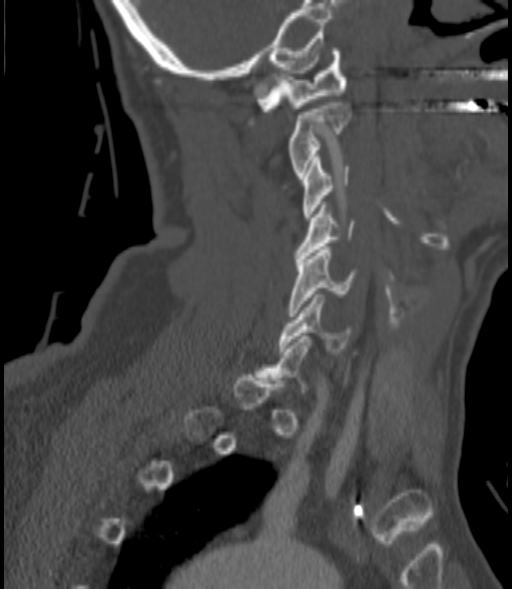
CT spine. sagittal view. 512x589 px
Each box given as x1,y1,x2,y2. Each vertebra is boxed only on the slices from the first to the last where its cross-section reaches a third of its largest, so a slice outside that range leaves it unboxed. 6 vertebrae labeled — C1 at x1=256, y1=48, x2=347, y2=111; C2 at x1=288, y1=102, x2=350, y2=178; C3 at x1=303, y1=157, x2=348, y2=220; C4 at x1=294, y1=205, x2=354, y2=261; C5 at x1=288, y1=246, x2=356, y2=316; C6 at x1=279, y1=294, x2=351, y2=351.